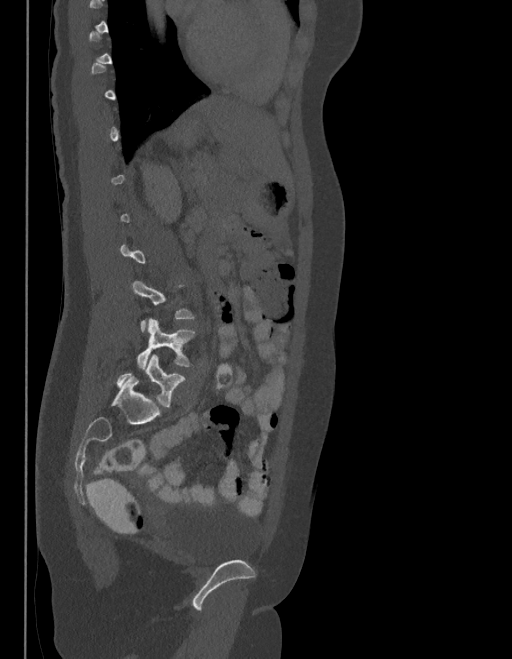 Computed tomography of the spine · sagittal view
A vertebra is boxed only from the first to the last slice where its cross-section is at least a third of its largest; slices outside that range leave it without a box.
These labels give the spine a sixth lumbar vertebra, L6, below L5.
<vertebrae><v name="L6" x1="117" y1="353" x2="184" y2="406"/><v name="L5" x1="137" y1="318" x2="195" y2="368"/></vertebrae>